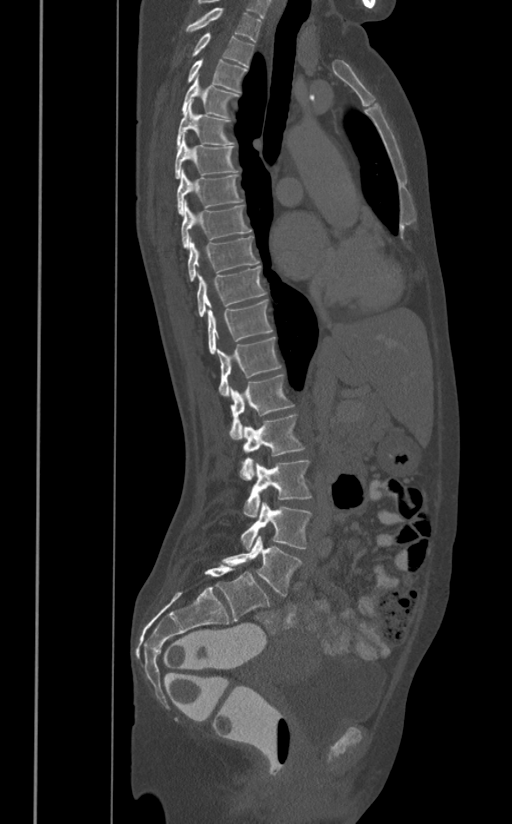
Computed tomography of the spine. sagittal view. W/L 1800/400 HU. 512x824 px. 391 mm across the image

Boxes: x1:y1:x2:y2 in pixels. Vertebrae labeled: T1 at 186:7:261:41, T2 at 191:33:254:66, T3 at 188:59:248:92, T4 at 181:74:240:117, T5 at 176:99:234:149, T6 at 174:134:238:178, T7 at 177:170:242:216, T8 at 181:200:252:248, T9 at 187:236:259:281, T10 at 196:266:266:316, T11 at 208:298:273:354, T12 at 217:337:282:396, L1 at 230:375:295:439, L2 at 239:414:305:480, L3 at 243:460:312:516, L4 at 241:502:312:549, L5 at 221:536:303:597.